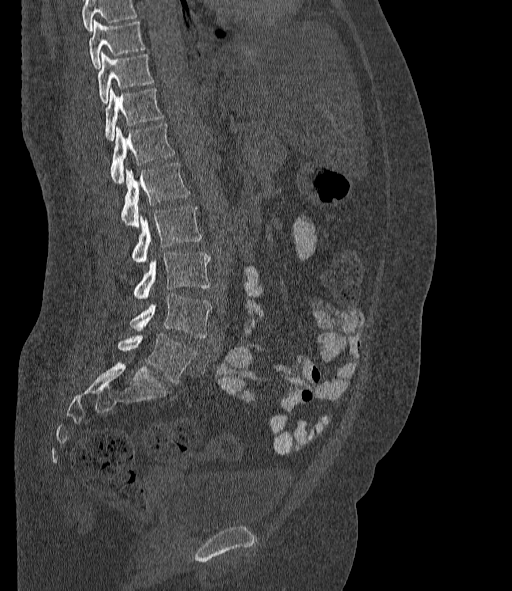 CT, spine; sagittal view; image width 377 mm; Bone window (WL 400, WW 1800); 512x591 px

Each box is [x1, y1, x2, y2] in pixels: top-left corner, then bottom-right corner.
A vertebra cut off by the top edge of the scan is not labeled and has no box.
The labels name a sixth lumbar vertebra for this spine: L6, after L5.
{"vertebrae":{"T10":[89,20,144,68],"T11":[98,53,154,104],"T12":[104,88,163,140],"L1":[110,124,174,184],"L2":[121,163,189,227],"L3":[132,206,201,262],"L4":[133,253,209,299],"L5":[130,293,211,337],"L6":[118,333,197,383]}}